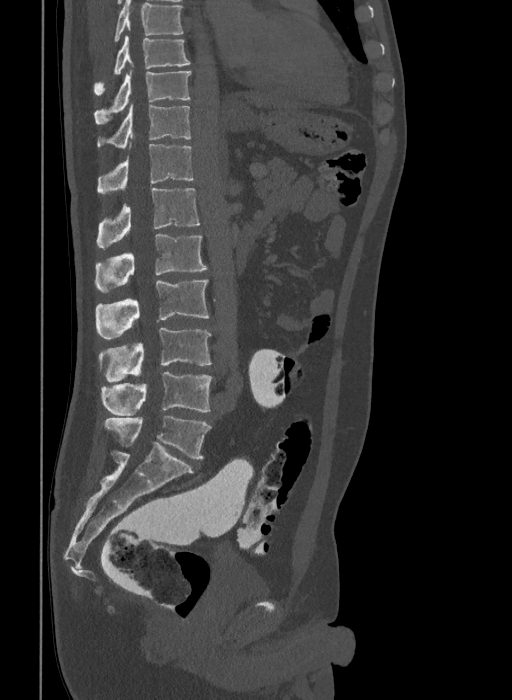

CT · sagittal view · 512x700 px

Each box is [x1, y1, x2, y2] in pixels: top-left corner, then bottom-right corner.
The highest labeled vertebra in this scan is T9; the lowest is L6.
These labels give the spine a sixth lumbar vertebra, L6, below L5.
{"vertebrae":{"T9":[94,35,190,94],"T10":[94,70,190,124],"T11":[98,104,190,148],"T12":[98,143,194,194],"L1":[96,188,199,248],"L2":[95,234,208,292],"L3":[95,279,209,339],"L4":[99,328,212,382],"L5":[101,372,212,415],"L6":[104,416,210,459]}}